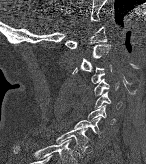
CT spine. sagittal view. bone-window reconstruction. 146x164 px

<vertebrae><v name="C1" x1="65" y1="26" x2="107" y2="48"/><v name="C2" x1="72" y1="43" x2="110" y2="74"/><v name="C3" x1="90" y1="64" x2="112" y2="83"/><v name="C4" x1="94" y1="78" x2="118" y2="95"/><v name="C5" x1="95" y1="92" x2="121" y2="109"/><v name="C6" x1="87" y1="105" x2="115" y2="124"/><v name="C7" x1="72" y1="117" x2="103" y2="137"/><v name="T1" x1="56" y1="127" x2="87" y2="157"/></vertebrae>